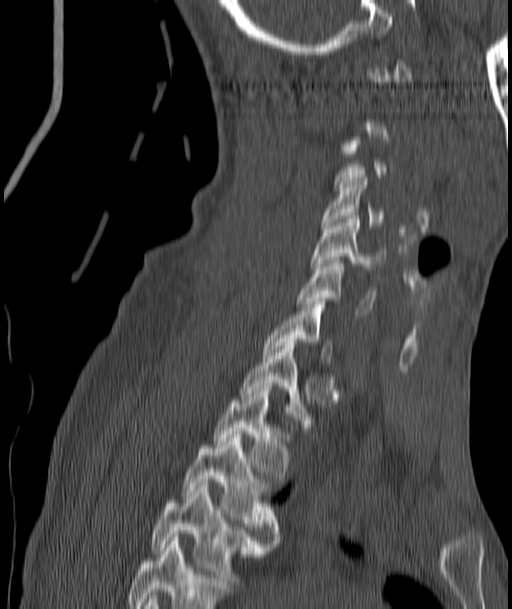 CT spine — sagittal view — 512x609 px — image width 187 mm. Box edges are left/top/right/bottom in pixels.
A vertebra gets a box only on the slices from the first to the last where its cross-section is at least a third of its largest; on a slice outside that range it gets none.
Vertebra bounding boxes:
- T4: left=151, top=483, right=268, bottom=588
- T3: left=184, top=431, right=279, bottom=543
- T2: left=214, top=387, right=287, bottom=478
- T1: left=242, top=339, right=309, bottom=427
- C7: left=264, top=301, right=331, bottom=362
- C6: left=297, top=260, right=374, bottom=314
- C5: left=313, top=216, right=383, bottom=269
- C4: left=321, top=178, right=383, bottom=228